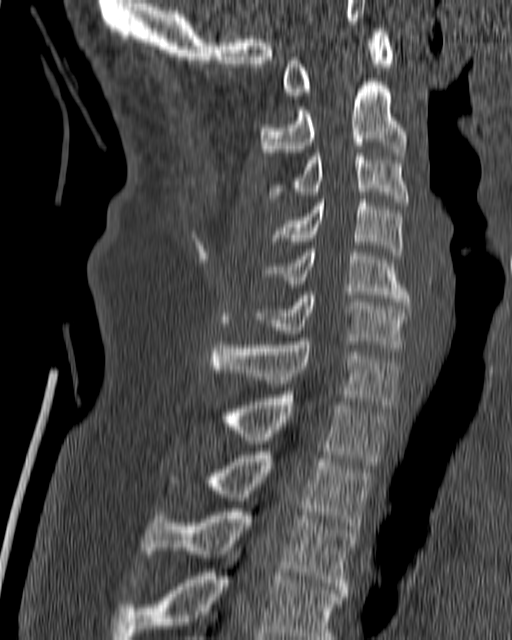 CT spine; 180 mm image width; sagittal reformat; W/L 1800/400 HU

Boxes: x1:y1:x2:y2 in pixels.
T4: 112:551:344:639
T3: 143:508:355:593
T2: 203:452:373:532
T1: 221:395:390:465
C7: 209:338:398:408
C6: 253:292:410:347
C5: 268:249:410:305
C4: 272:199:404:255
C3: 270:153:409:205
C2: 260:78:407:155
C1: 282:28:393:95